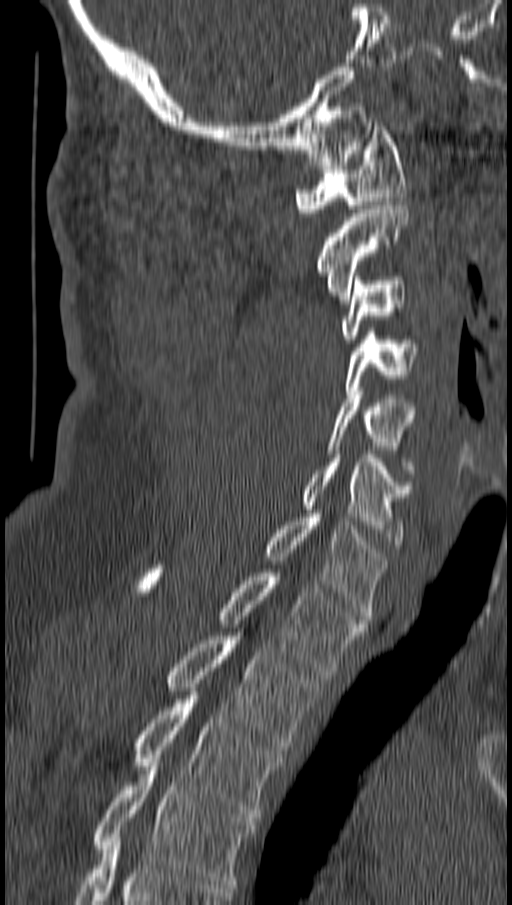

Computed tomography of the spine — sagittal view. Boxes: x1:y1:x2:y2 in pixels.
C1: 295:122:405:216
C2: 317:201:408:303
C3: 339:277:405:343
C4: 342:332:417:398
C5: 327:391:416:473
C6: 301:454:411:548
C7: 263:514:386:619
T1: 137:565:364:675
T2: 165:632:319:754
T3: 134:691:281:817
T4: 93:762:256:888